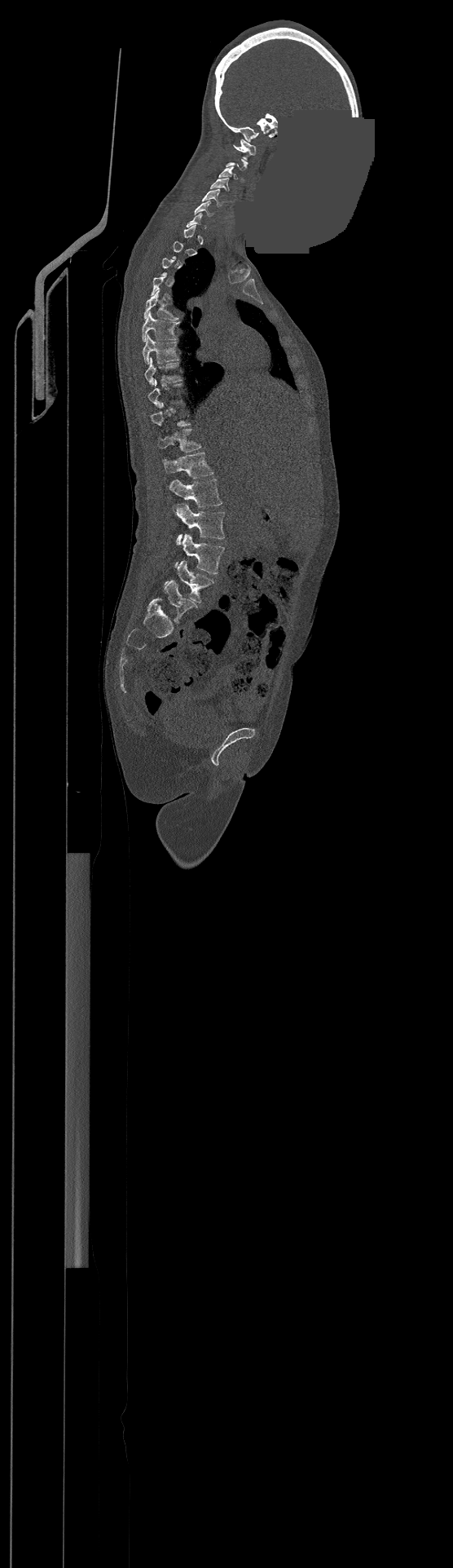
CT, spine · sagittal view · 453x1568 px · part of the image has been replaced by a constant value
Each vertebra maps to its box as [x1, y1, x2, y2], the pixel coordinates of its top-left and bottom-right corners.
Not every vertebra on this slice has a box: a vertebra is boxed only from the first to the last slice where its cross-section is at least a third of its largest, and this slice is outside that range for at least one of them.
This scan's labels start at C1 at the top and end at L4 at the bottom.
{"vertebrae":{"C1":[233,139,256,155],"C3":[219,166,237,179],"C4":[210,179,229,191],"C5":[201,189,222,205],"C6":[195,201,213,215],"T5":[144,289,178,320],"T6":[143,314,178,342],"T7":[143,336,178,363],"T8":[144,359,180,384],"T11":[157,429,200,452],"T12":[164,453,213,478],"L1":[168,479,221,507],"L2":[173,503,225,545],"L3":[183,533,224,573],"L4":[177,559,213,602]}}